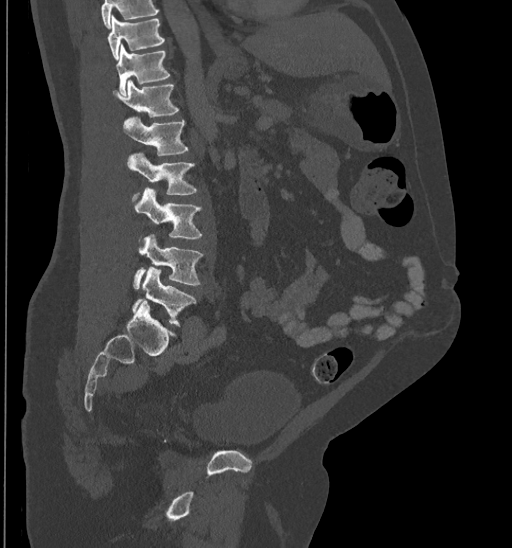
Spine CT. sagittal view. Bone window (WL 400, WW 1800). 512x548 px
Boxes are (x1, y1, x2, y2) in pixels.
No box is given to a vertebra that the top edge of the scan cuts off.
Vertebra bounding boxes:
- L5: (132, 268, 197, 325)
- L4: (133, 233, 204, 289)
- L3: (135, 187, 203, 242)
- L2: (129, 153, 198, 202)
- L1: (123, 117, 188, 155)
- T12: (113, 79, 179, 118)
- T11: (116, 44, 171, 95)
- T10: (108, 16, 165, 59)